CT. sagittal plane, index 311. 512x747 px
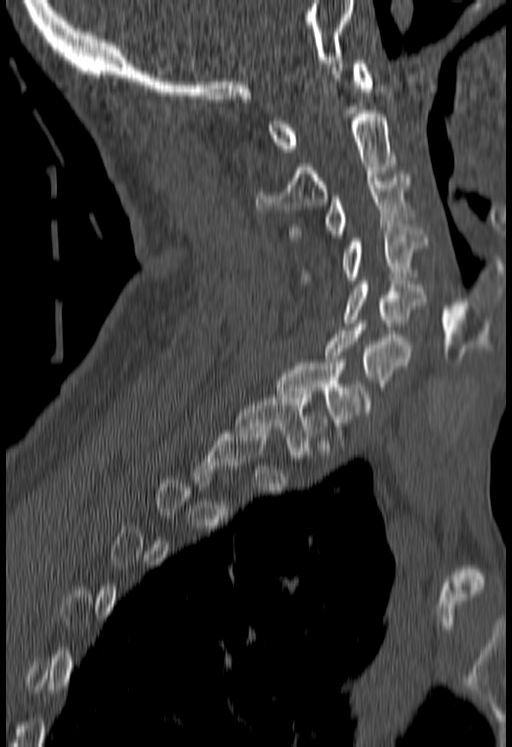 A vertebra gets a box only on the slices from the first to the last where its cross-section is at least a third of its largest; on a slice outside that range it gets none.
<vertebrae><v name="C1" x1="268" y1="60" x2="373" y2="152"/><v name="C2" x1="257" y1="114" x2="395" y2="212"/><v name="C3" x1="291" y1="174" x2="410" y2="237"/><v name="C4" x1="300" y1="228" x2="427" y2="283"/><v name="C5" x1="342" y1="281" x2="426" y2="326"/><v name="C6" x1="324" y1="324" x2="410" y2="390"/><v name="C7" x1="275" y1="363" x2="373" y2="426"/><v name="T1" x1="235" y1="395" x2="328" y2="458"/></vertebrae>